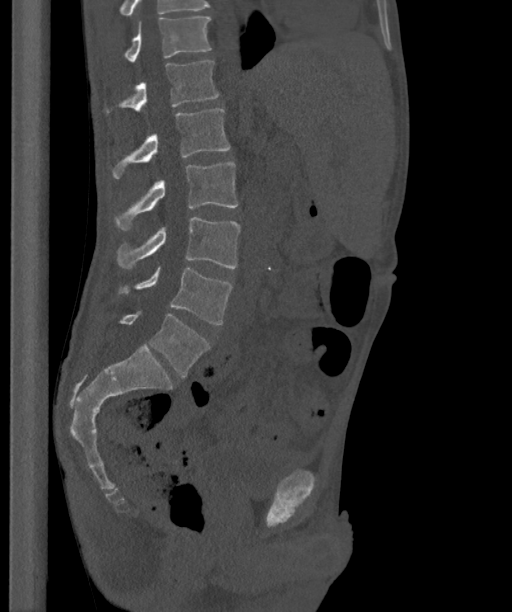 CT, spine. 363 mm image width. sagittal view
Boxes: x1 y1 x2 y2 (pixel coords, space-separated). In this scan, the topmost labeled vertebra is T12 and the lowest is L6. In these labels the spine has an L6, a sixth lumbar vertebra below L5. The labeled vertebrae in this slice are: T12 at 124 17 212 61, L1 at 104 61 219 113, L2 at 111 108 230 178, L3 at 115 162 237 230, L4 at 117 217 240 268, L5 at 117 267 232 324, L6 at 118 311 209 377.